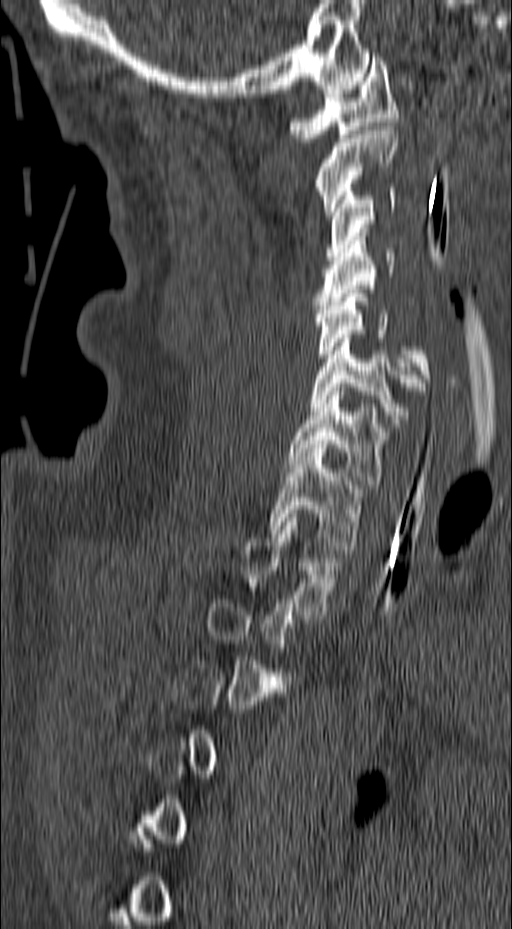 Spine computed tomography; sagittal reformat; bone-window reconstruction; image 157 mm wide; 512x929 px
Each row gives a vertebra's box as x1, y1, x2, y2 in pixels: top-left corner, then bottom-right corner.
Each vertebra is boxed only on the slices from the first to the last where its cross-section reaches a third of its largest, so a slice outside that range leaves it unboxed.
| vertebra | x1 | y1 | x2 | y2 |
|---|---|---|---|---|
| C1 | 289 | 57 | 398 | 142 |
| C2 | 314 | 126 | 398 | 215 |
| C3 | 325 | 188 | 395 | 260 |
| C4 | 312 | 232 | 395 | 309 |
| C5 | 314 | 289 | 432 | 386 |
| C6 | 311 | 334 | 425 | 423 |
| C7 | 288 | 387 | 388 | 484 |
| T1 | 269 | 448 | 363 | 549 |
| T2 | 242 | 514 | 338 | 615 |